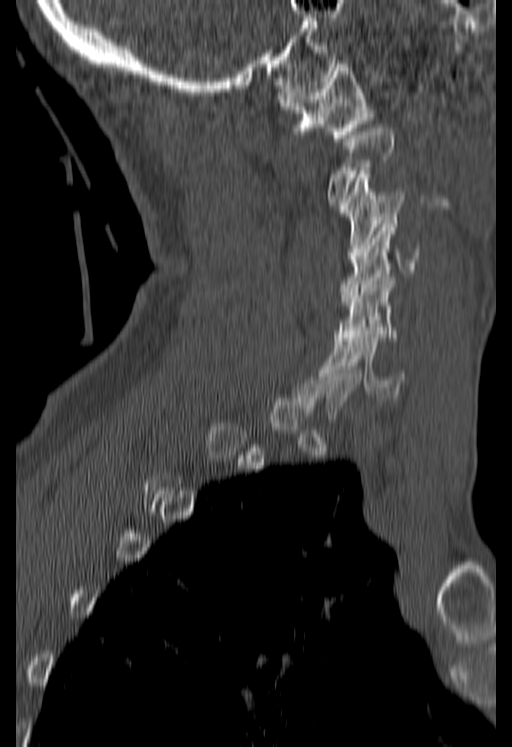
Spine CT; sagittal reformat; 512x747 px

Each box given as x1,y1,x2,y2.
A vertebra gets a box only on the slices from the first to the last where its cross-section is at least a third of its largest; on a slice outside that range it gets none.
C1: x1=278, y1=60, x2=373, y2=141
C2: x1=328, y1=128, x2=392, y2=205
C3: x1=340, y1=171, x2=404, y2=259
C4: x1=339, y1=220, x2=419, y2=301
C5: x1=335, y1=274, x2=399, y2=340
C6: x1=324, y1=331, x2=405, y2=397